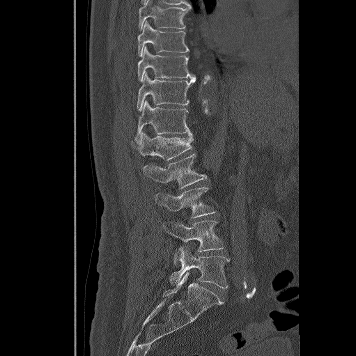 Computed tomography of the spine. sagittal view. bone window. 356x356 px. Box edges are left/top/right/bottom in pixels.
Vertebra bounding boxes:
- T8: left=139, top=0, right=190, bottom=31
- T9: left=137, top=21, right=190, bottom=56
- T10: left=137, top=46, right=195, bottom=82
- T11: left=137, top=73, right=195, bottom=110
- T12: left=134, top=100, right=190, bottom=140
- L1: left=136, top=131, right=193, bottom=160
- L2: left=143, top=154, right=206, bottom=188
- L3: left=155, top=187, right=214, bottom=218
- L4: left=163, top=220, right=223, bottom=264
- L5: left=170, top=245, right=229, bottom=288